CT. image width 395 mm. sagittal view. bone window. 512x842 px
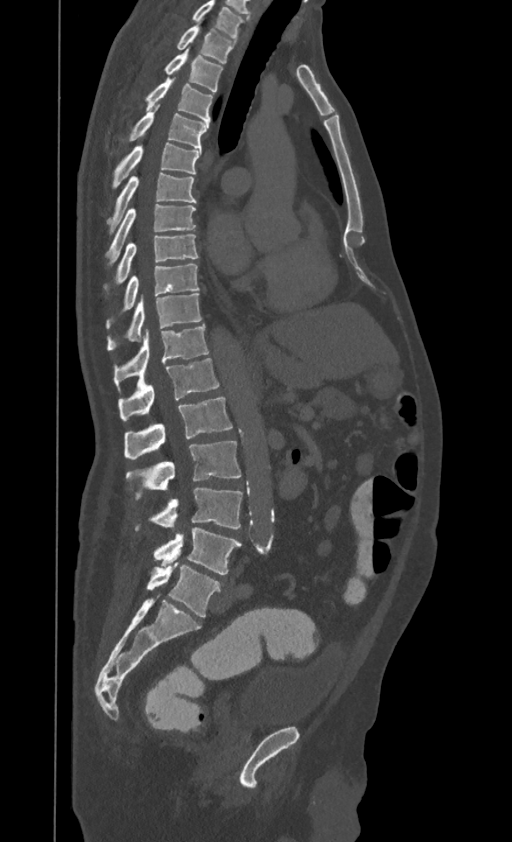
Each row gives a vertebra's box as x1, y1, x2, y2 in pixels: top-left corner, then bottom-right corner.
In this scan, the topmost labeled vertebra is T1 and the lowest is L4.
| vertebra | x1 | y1 | x2 | y2 |
|---|---|---|---|---|
| L4 | 153 | 527 | 241 | 574 |
| L3 | 135 | 488 | 243 | 532 |
| L2 | 126 | 441 | 241 | 499 |
| L1 | 124 | 397 | 232 | 459 |
| T12 | 118 | 358 | 219 | 420 |
| T11 | 114 | 324 | 209 | 389 |
| T10 | 106 | 293 | 201 | 350 |
| T9 | 106 | 262 | 198 | 328 |
| T8 | 104 | 234 | 198 | 295 |
| T7 | 105 | 203 | 196 | 265 |
| T6 | 109 | 173 | 196 | 230 |
| T5 | 111 | 142 | 201 | 189 |
| T4 | 129 | 105 | 208 | 148 |
| T3 | 146 | 78 | 213 | 124 |
| T2 | 164 | 48 | 222 | 92 |
| T1 | 177 | 23 | 236 | 63 |